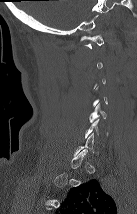

Computed tomography of the spine — sagittal view — Bone window (WL 400, WW 1800) — 137x214 px
Boxes below are [x1, y1, x2, y2] in pixels.
A vertebra is boxed only from the first to the last slice where its cross-section is at least a third of its largest; slices outside that range leave it without a box.
{"vertebrae":{"C5":[89,103,107,122],"C1":[80,35,103,49]}}